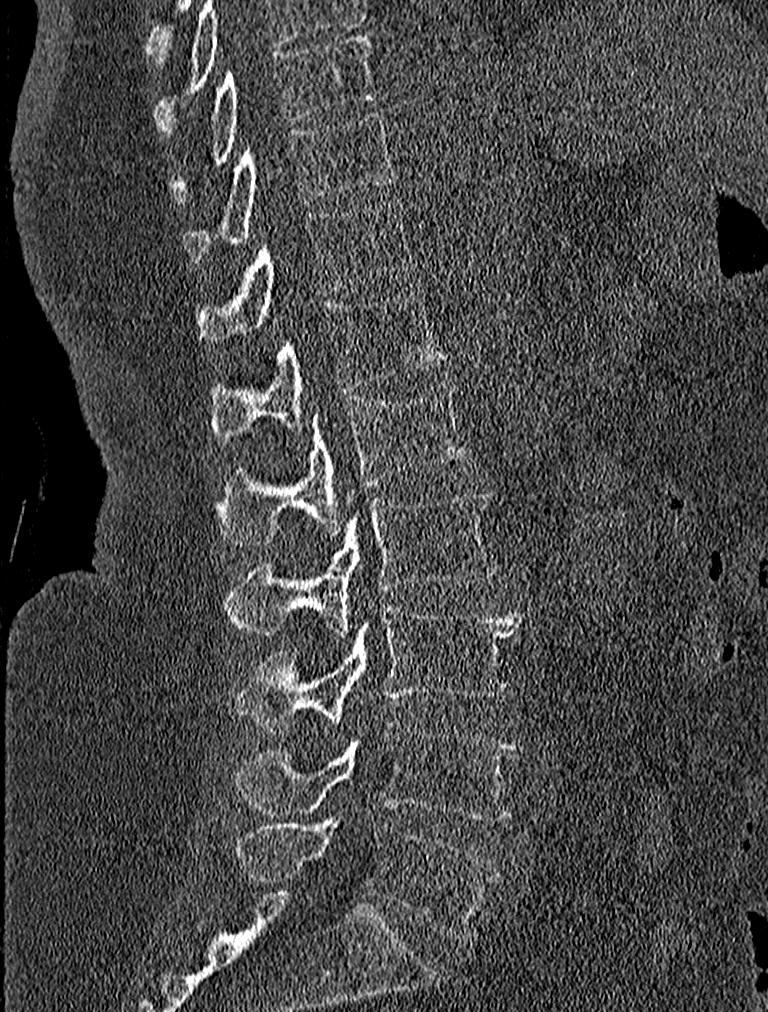

Spine CT — 227 mm across the image — sagittal view
Each box is [x1, y1, x2, y2] in pixels: top-left corner, then bottom-right corner.
{"vertebrae":{"T9":[171,33,377,198],"T10":[182,111,397,262],"T11":[195,199,414,351],"T12":[209,288,448,439],"L1":[215,382,471,546],"L2":[225,487,495,637],"L3":[236,600,522,731],"L4":[232,722,522,820],"L5":[236,818,499,938]}}